Spine CT · sagittal view · 350 mm image width · W/L 1800/400 HU
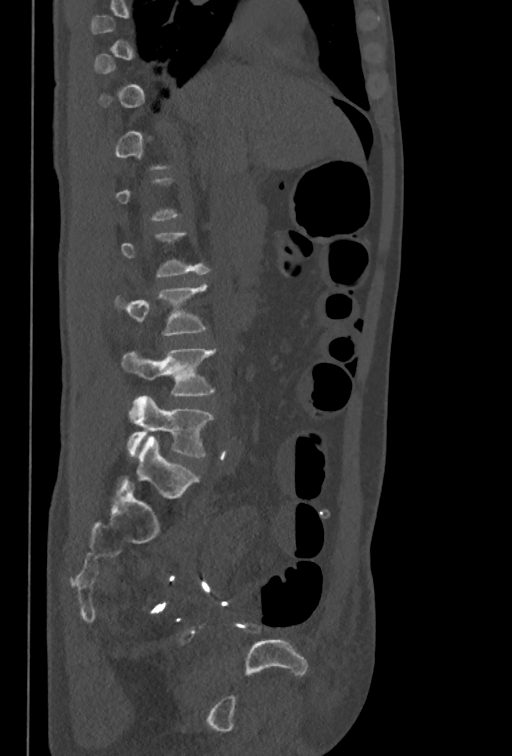
Each row gives a vertebra's box as x1, y1, x2, y2 in pixels: top-left corner, then bottom-right corner.
Not every vertebra on this slice has a box: a vertebra is boxed only from the first to the last slice where its cross-section is at least a third of its largest, and this slice is outside that range for at least one of them.
| vertebra | x1 | y1 | x2 | y2 |
|---|---|---|---|---|
| L5 | 126 | 395 | 214 | 456 |
| L4 | 121 | 349 | 215 | 395 |
| L3 | 114 | 283 | 208 | 335 |